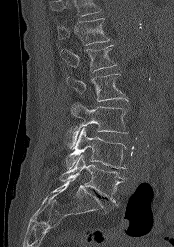 Spine computed tomography — sagittal view — bone window — image 174 mm wide
Each vertebra maps to its box as [x1, y1, x2, y2], the pixel coordinates of its top-left and bottom-right corners.
Where the top of the scan cuts through a vertebra, that vertebra gets no label or box.
{"vertebrae":{"L5":[59,154,125,205],"L4":[65,128,126,168],"L3":[67,103,128,148],"L2":[66,74,127,101],"L1":[60,45,116,72],"T12":[57,18,110,45]}}